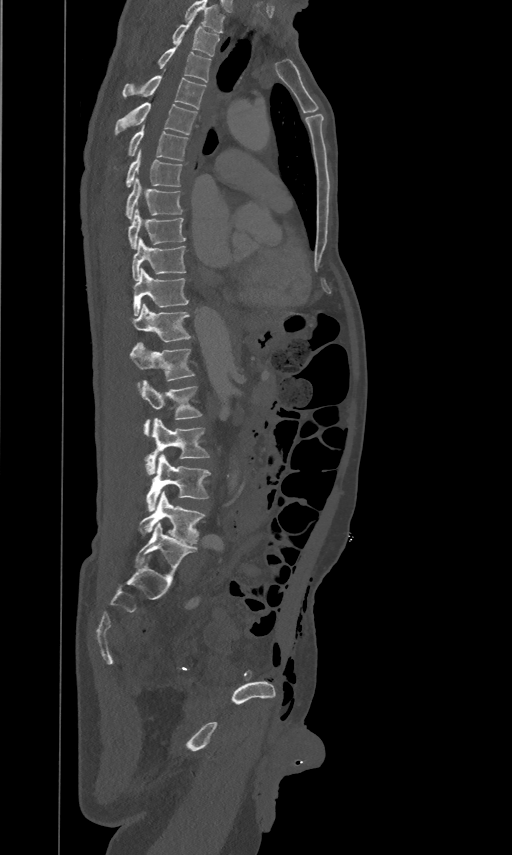
CT spine · sagittal view
The highest labeled vertebra in this scan is T2; the lowest is L5.
<vertebrae><v name="T2" x1="172" y1="14" x2="219" y2="56"/><v name="T3" x1="158" y1="40" x2="211" y2="82"/><v name="T4" x1="122" y1="75" x2="205" y2="109"/><v name="T5" x1="115" y1="101" x2="197" y2="135"/><v name="T6" x1="128" y1="124" x2="188" y2="160"/><v name="T7" x1="125" y1="149" x2="181" y2="185"/><v name="T8" x1="125" y1="177" x2="182" y2="219"/><v name="T9" x1="128" y1="207" x2="186" y2="248"/><v name="T10" x1="132" y1="236" x2="186" y2="280"/><v name="T11" x1="133" y1="266" x2="188" y2="315"/><v name="T12" x1="132" y1="303" x2="190" y2="341"/><v name="L1" x1="130" y1="341" x2="194" y2="386"/><v name="L2" x1="141" y1="380" x2="201" y2="435"/><v name="L3" x1="145" y1="417" x2="209" y2="474"/><v name="L4" x1="146" y1="454" x2="211" y2="511"/><v name="L5" x1="140" y1="491" x2="204" y2="543"/></vertebrae>